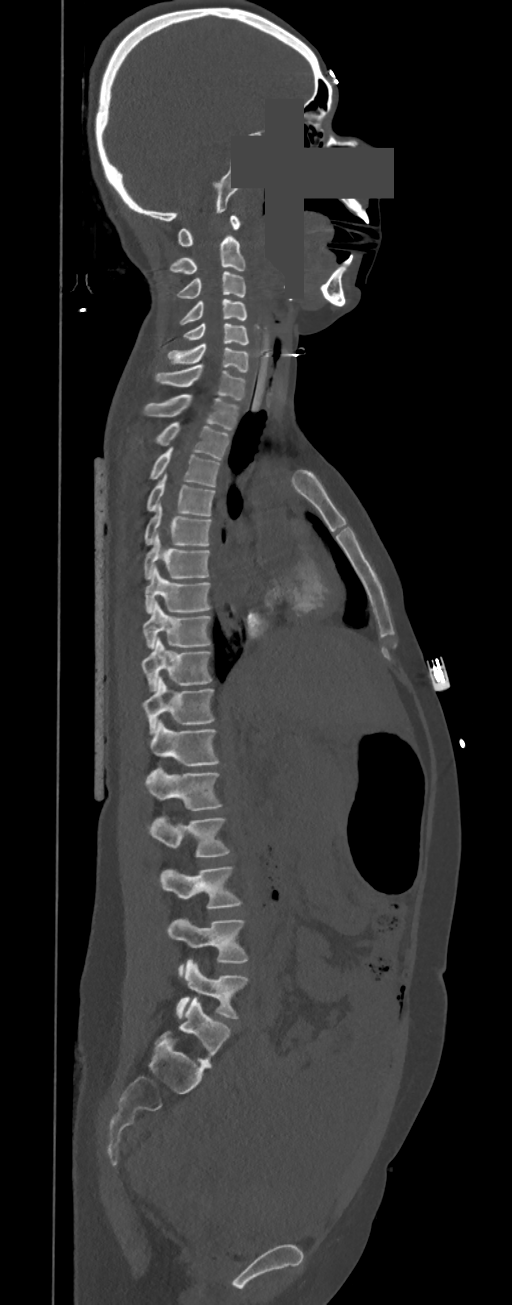
Spine computed tomography · sagittal view · 512x1305 px · a uniform gray block covers part of the image
In these labels the spine has no T12: the thoracic vertebrae end at T11, and L1 comes next.
<vertebrae><v name="L5" x1="176" y1="960" x2="247" y2="1018"/><v name="L4" x1="167" y1="919" x2="247" y2="976"/><v name="L3" x1="159" y1="866" x2="240" y2="909"/><v name="L2" x1="149" y1="816" x2="228" y2="857"/><v name="L1" x1="143" y1="766" x2="221" y2="810"/><v name="T11" x1="149" y1="720" x2="218" y2="765"/><v name="T10" x1="142" y1="677" x2="214" y2="734"/><v name="T9" x1="140" y1="637" x2="211" y2="690"/><v name="T8" x1="143" y1="602" x2="211" y2="649"/><v name="T7" x1="145" y1="566" x2="211" y2="614"/><v name="T6" x1="143" y1="533" x2="209" y2="578"/><v name="T5" x1="145" y1="500" x2="211" y2="545"/><v name="T4" x1="146" y1="474" x2="215" y2="516"/><v name="T3" x1="150" y1="448" x2="220" y2="486"/><v name="T2" x1="156" y1="423" x2="228" y2="460"/><v name="T1" x1="143" y1="394" x2="238" y2="430"/><v name="C7" x1="155" y1="365" x2="246" y2="401"/><v name="C6" x1="167" y1="344" x2="249" y2="372"/><v name="C5" x1="183" y1="323" x2="249" y2="344"/><v name="C4" x1="179" y1="299" x2="247" y2="324"/><v name="C3" x1="177" y1="271" x2="246" y2="299"/><v name="C2" x1="169" y1="236" x2="245" y2="274"/><v name="C1" x1="178" y1="215" x2="240" y2="247"/></vertebrae>